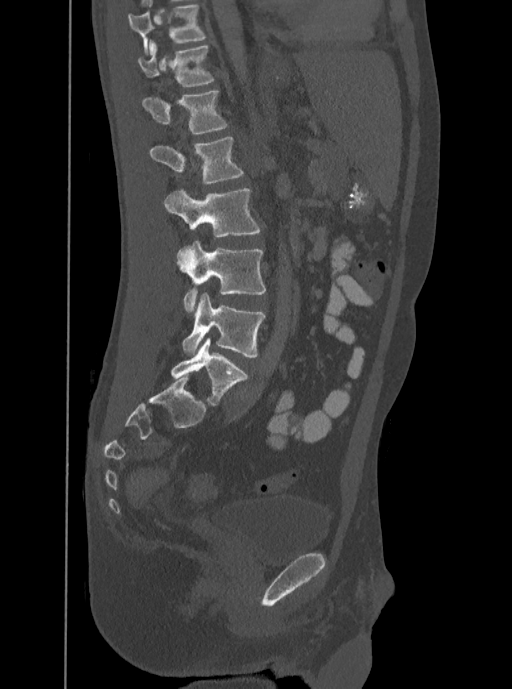 CT, spine — sagittal reformat — 350 mm across the image — W/L 1800/400 HU

Columns x1, y1, x2, y2 give each box's top-left and bottom-right pixels.
Labels in this scan begin with T12 at the top and end with L5 at the bottom.
| vertebra | x1 | y1 | x2 | y2 |
|---|---|---|---|---|
| T12 | 138 | 39 | 214 | 86 |
| L1 | 142 | 91 | 227 | 133 |
| L2 | 149 | 137 | 243 | 183 |
| L3 | 164 | 188 | 259 | 237 |
| L4 | 177 | 241 | 265 | 312 |
| L5 | 182 | 292 | 265 | 357 |